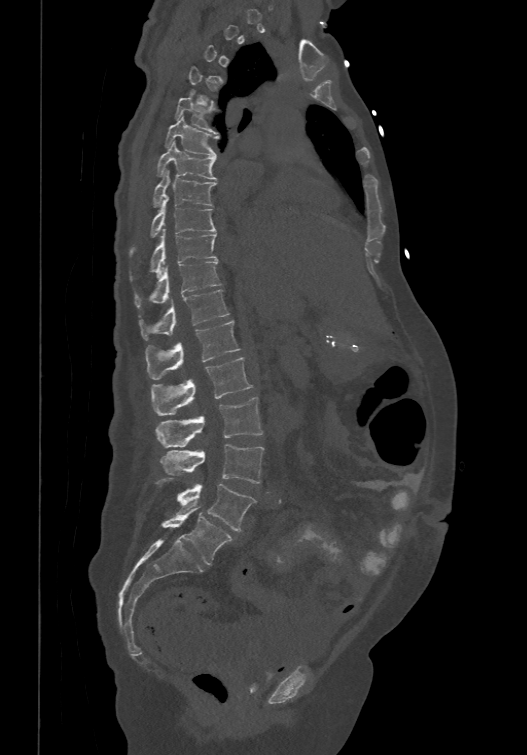

Computed tomography of the spine — sagittal view — W/L 1800/400 HU — the image spans 474 mm across
Box edges are left/top/right/bottom in pixels.
A vertebra gets a box only on the slices from the first to the last where its cross-section is at least a third of its largest; on a slice outside that range it gets none.
In these labels the spine has an L6, a sixth lumbar vertebra below L5.
| vertebra | x1 | y1 | x2 | y2 |
|---|---|---|---|---|
| T5 | 175 | 91 | 218 | 133 |
| T6 | 165 | 114 | 219 | 157 |
| T7 | 156 | 140 | 217 | 179 |
| T8 | 152 | 168 | 216 | 206 |
| T9 | 129 | 195 | 216 | 256 |
| T10 | 130 | 228 | 217 | 280 |
| T11 | 135 | 258 | 221 | 309 |
| T12 | 139 | 288 | 229 | 339 |
| L1 | 145 | 320 | 240 | 378 |
| L2 | 151 | 356 | 252 | 415 |
| L3 | 155 | 397 | 262 | 447 |
| L4 | 160 | 444 | 263 | 483 |
| L5 | 176 | 484 | 255 | 531 |
| L6 | 160 | 507 | 233 | 564 |